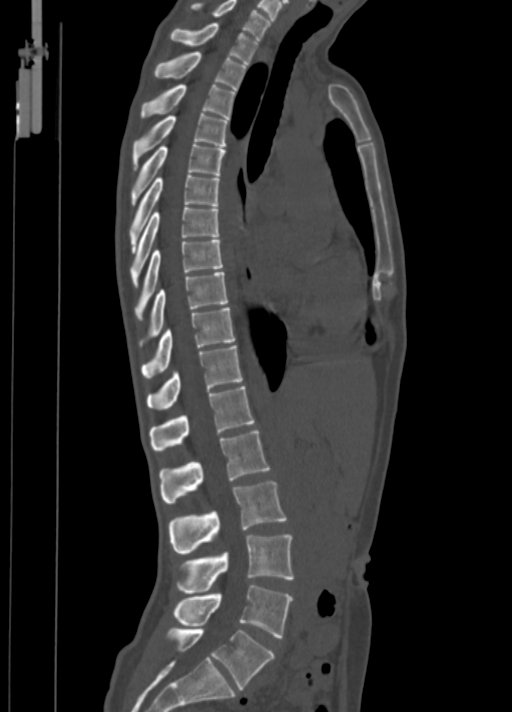
Spine computed tomography — sagittal view — 512x712 px
Each box given as x1,y1,x2,y2. The labeled vertebrae in this slice are: C7 at x1=190, y1=0, x2=271, y2=38, T1 at x1=169, y1=23, x2=258, y2=63, T2 at x1=155, y1=51, x2=246, y2=90, T3 at x1=140, y1=85, x2=236, y2=119, T4 at x1=133, y1=114, x2=228, y2=170, T5 at x1=130, y1=143, x2=226, y2=205, T6 at x1=130, y1=174, x2=220, y2=252, T7 at x1=130, y1=206, x2=218, y2=286, T8 at x1=134, y1=240, x2=223, y2=319, T9 at x1=139, y1=272, x2=227, y2=346, T10 at x1=142, y1=307, x2=234, y2=378, T11 at x1=146, y1=345, x2=242, y2=409, T12 at x1=149, y1=386, x2=255, y2=451, L1 at x1=159, y1=430, x2=269, y2=504, L2 at x1=168, y1=481, x2=287, y2=553, L3 at x1=175, y1=534, x2=293, y2=593, L4 at x1=174, y1=585, x2=293, y2=638, L5 at x1=167, y1=628, x2=274, y2=689.